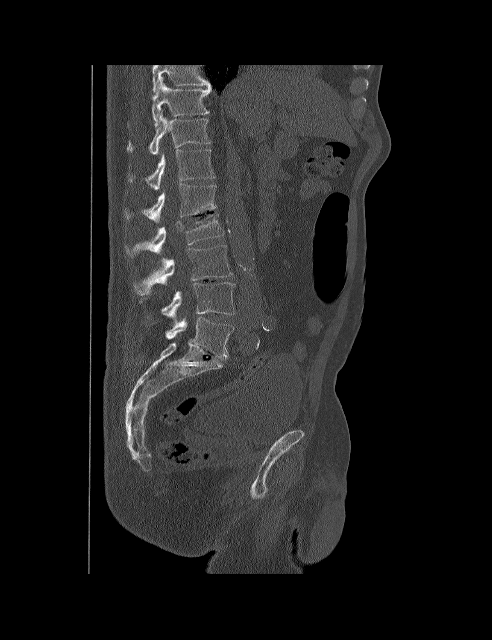 CT, spine — sagittal view — bone window — image 492 mm wide — 492x640 px
Box values are [left, top, right, bottom] in pixels.
This scan's labels start at T10 at the top and end at L5 at the bottom.
{"vertebrae":{"T10":[127,78,212,126],"T11":[127,111,210,154],"T12":[128,149,215,190],"L1":[125,183,217,223],"L2":[125,214,223,255],"L3":[133,245,232,295],"L4":[139,282,235,323],"L5":[165,316,233,357]}}